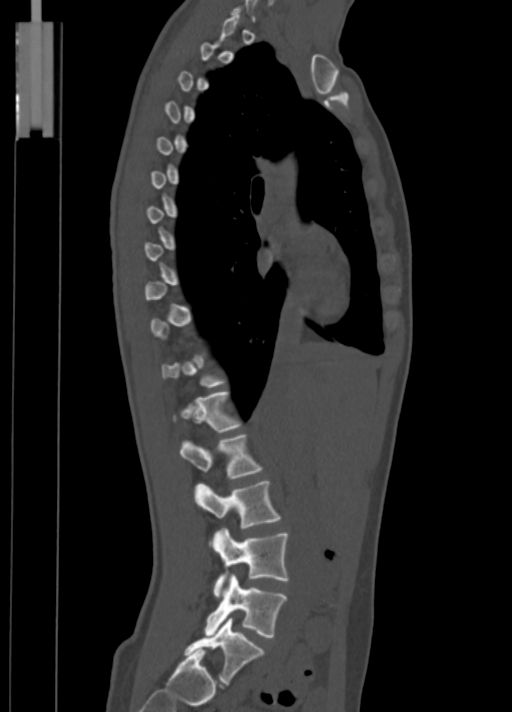 CT, spine — sagittal view — bone-window reconstruction — 512x712 px — the image is 350 mm wide. Box edges are left/top/right/bottom in pixels.
Each vertebra is boxed only on the slices from the first to the last where its cross-section reaches a third of its largest, so a slice outside that range leaves it unboxed.
L5: left=184, top=617, right=264, bottom=685
L4: left=205, top=575, right=287, bottom=637
L3: left=213, top=528, right=288, bottom=597
L2: left=194, top=481, right=280, bottom=529
L1: left=180, top=434, right=262, bottom=479
T12: left=173, top=391, right=240, bottom=432